Computed tomography of the spine. sagittal view
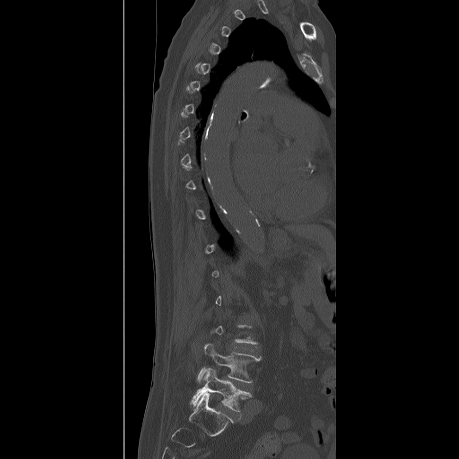
Boxes: x1 y1 x2 y2 (pixel coords, space-separated).
A vertebra gets a box only on the slices from the first to the last where its cross-section is at least a third of its largest; on a slice outside that range it gets none.
Vertebra bounding boxes:
- L4: 197 344 261 382
- L5: 191 368 250 411